Spine CT; sagittal reformat; bone-window reconstruction; 512x642 px
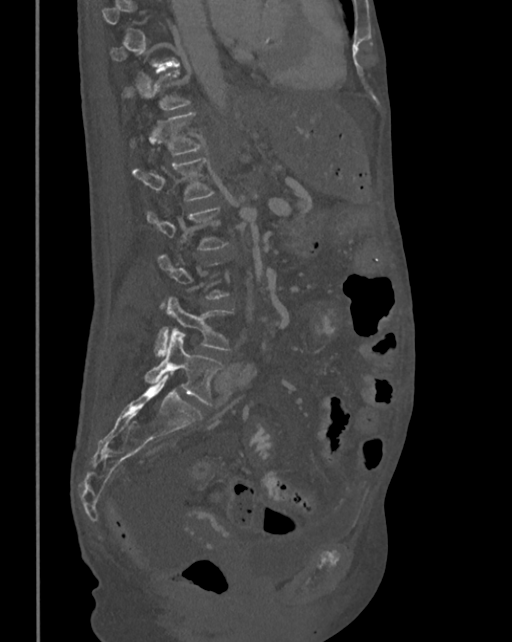 Boxes: x1:y1:x2:y2 in pixels. A vertebra is boxed only from the first to the last slice where its cross-section is at least a third of its largest; slices outside that range leave it without a box. The labeled vertebrae in this slice are: T12 at 130:113:203:155, L1 at 133:157:214:201, L2 at 146:207:229:249, L4 at 155:297:234:355, L5 at 145:331:223:406.